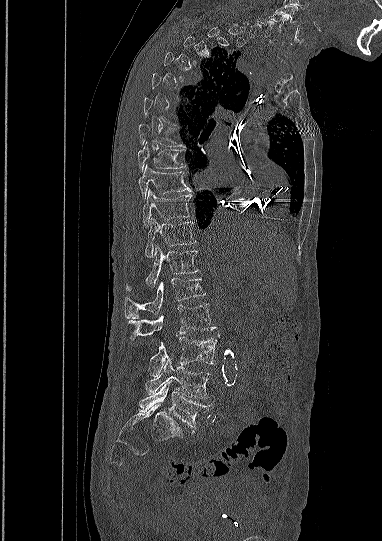

Spine CT; sagittal view; W/L 1800/400 HU; image width 382 mm

Each box is [x1, y1, x2, y2] in pixels: top-left corner, then bottom-right corner.
A vertebra is boxed only from the first to the last slice where its cross-section is at least a third of its largest; slices outside that range leave it without a box.
Labels in this scan begin with C5 at the top and end with L5 at the bottom.
{"vertebrae":{"C5":[269,14,288,29],"T7":[138,124,185,147],"T8":[137,142,185,170],"T9":[138,165,190,198],"T10":[143,190,191,227],"T11":[146,217,195,257],"T12":[126,245,198,290],"L1":[124,278,204,318],"L2":[128,304,215,341],"L3":[149,336,216,376],"L4":[145,358,211,399],"L5":[139,381,211,431]}}